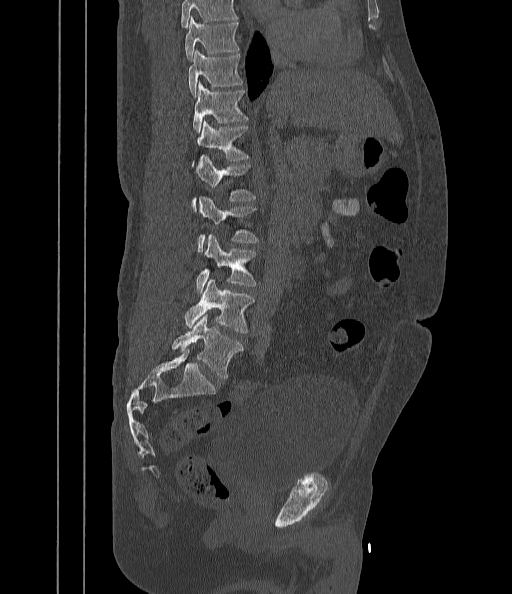
CT spine — the image spans 442 mm across — sagittal reformat
Each vertebra maps to its box as [x1, y1, x2, y2], the pixel coordinates of its top-left and bottom-right corners.
Where the top of the scan cuts through a vertebra, that vertebra gets no label or box.
{"vertebrae":{"T9":[185,17,239,60],"T10":[189,50,242,96],"T11":[192,82,248,133],"T12":[192,120,249,166],"L1":[193,155,255,209],"L2":[198,196,258,251],"L3":[196,235,256,293],"L4":[184,280,254,333],"L5":[171,314,242,378]}}